Computed tomography of the spine · sagittal plane, index 244 · 512x933 px · a uniform gray block covers part of the image
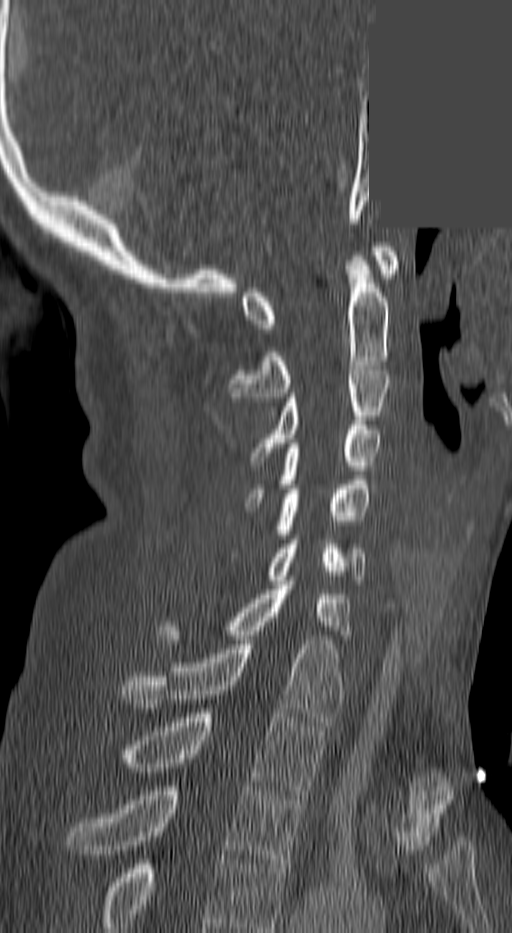
Each box given as x1,y1,x2,y2. The highest labeled vertebra in this scan is C1; the lowest is T3. 10 vertebrae labeled — C1 at x1=243, y1=247, x2=399, y2=333; C2 at x1=228, y1=256, x2=388, y2=397; C3 at x1=254, y1=366, x2=389, y2=461; C4 at x1=248, y1=425, x2=381, y2=502; C5 at x1=235, y1=480, x2=370, y2=557; C6 at x1=268, y1=539, x2=366, y2=584; C7 at x1=159, y1=581, x2=351, y2=644; T1 at x1=122, y1=640, x2=340, y2=726; T2 at x1=122, y1=713, x2=322, y2=794; T3 at x1=67, y1=786, x2=304, y2=868.